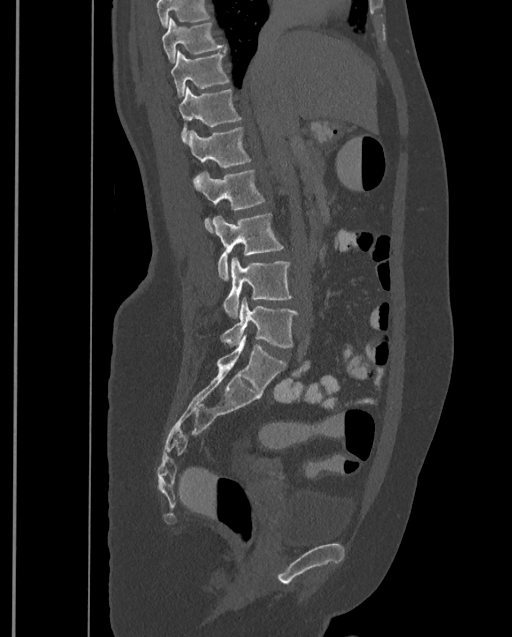

Spine computed tomography; sagittal view; the image spans 399 mm across. Boxes: x1 y1 x2 y2 (pixel coords, space-separated).
No box is given to a vertebra that the top edge of the scan cuts off.
In this scan, the topmost labeled vertebra is T9 and the lowest is L4.
Vertebra bounding boxes:
- T9: 162 17 225 63
- T10: 171 50 229 98
- T11: 178 87 241 142
- T12: 187 127 250 179
- L1: 194 170 264 232
- L2: 212 212 282 281
- L3: 223 258 291 319
- L4: 222 298 297 348